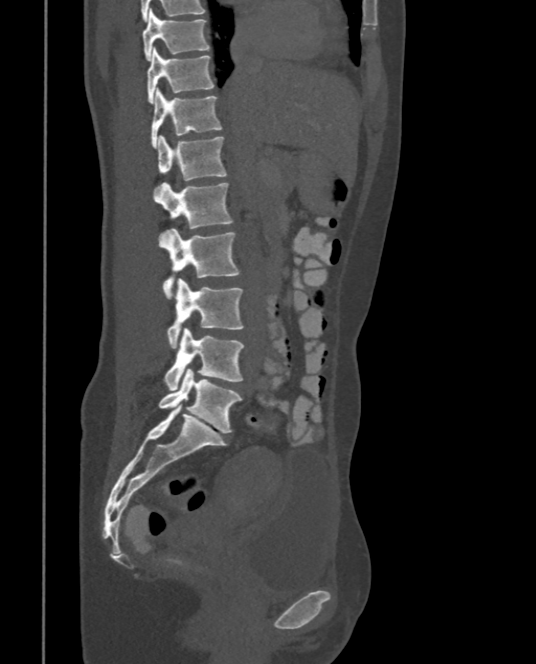 CT spine · sagittal view · 536x664 px

Boxes below are [x1, y1, x2, y2] in pixels.
{"vertebrae":{"L5":[158,368,242,432],"L4":[164,327,243,390],"L3":[167,278,243,347],"L2":[159,228,239,297],"L1":[156,183,231,229],"T12":[157,134,226,180],"T11":[152,88,222,146],"T10":[146,47,213,103],"T9":[142,10,209,61]}}